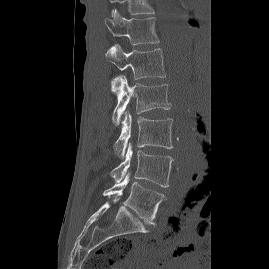
CT spine — sagittal view — W/L 1800/400 HU — 269x269 px
<vertebrae><v name="T12" x1="109" y1="9" x2="159" y2="45"/><v name="L1" x1="105" y1="44" x2="165" y2="94"/><v name="L2" x1="112" y1="75" x2="170" y2="124"/><v name="L3" x1="113" y1="111" x2="172" y2="160"/><v name="L4" x1="110" y1="143" x2="173" y2="187"/><v name="L5" x1="103" y1="172" x2="165" y2="225"/></vertebrae>